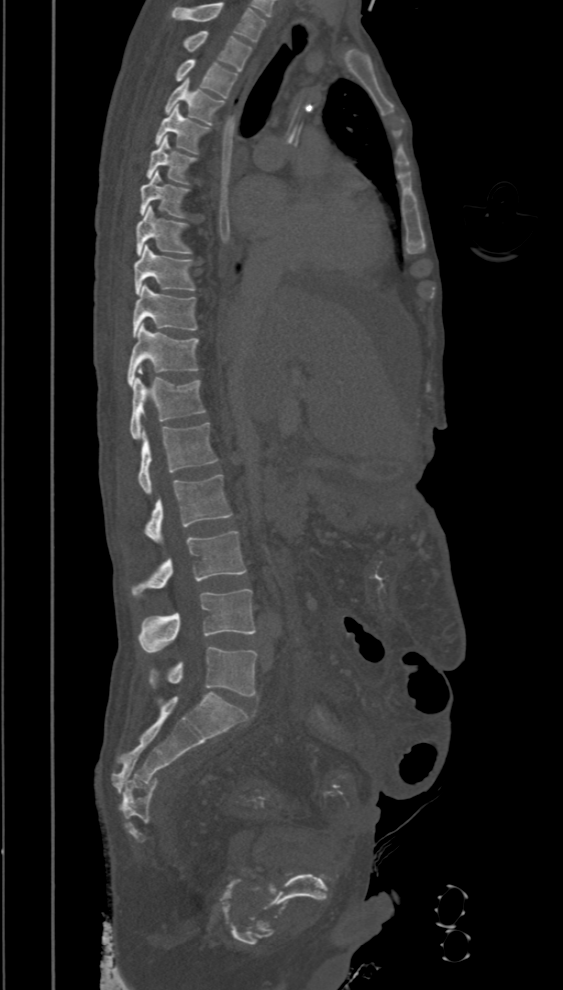

Spine computed tomography. sagittal view. bone-window reconstruction. 563x990 px
Each vertebra maps to its box as [x1, y1, x2, y2], the pixel coordinates of its top-left and bottom-right corners.
In this scan, the topmost labeled vertebra is T2 and the lowest is L5.
{"vertebrae":{"T2":[184,30,252,71],"T3":[176,58,238,98],"T4":[164,79,223,125],"T5":[155,105,209,154],"T6":[147,136,195,184],"T7":[140,172,187,216],"T8":[135,206,190,255],"T9":[134,245,195,295],"T10":[133,285,197,336],"T11":[128,323,199,386],"T12":[130,377,205,439],"L1":[139,422,218,495],"L2":[145,475,232,544],"L3":[131,530,246,595],"L4":[139,589,256,652],"L5":[148,646,257,696]}}